Spine computed tomography · Sagittal slice 258/512 · Bone window (WL 400, WW 1800) · 17 vertebrae labeled in this scan · image width 391 mm
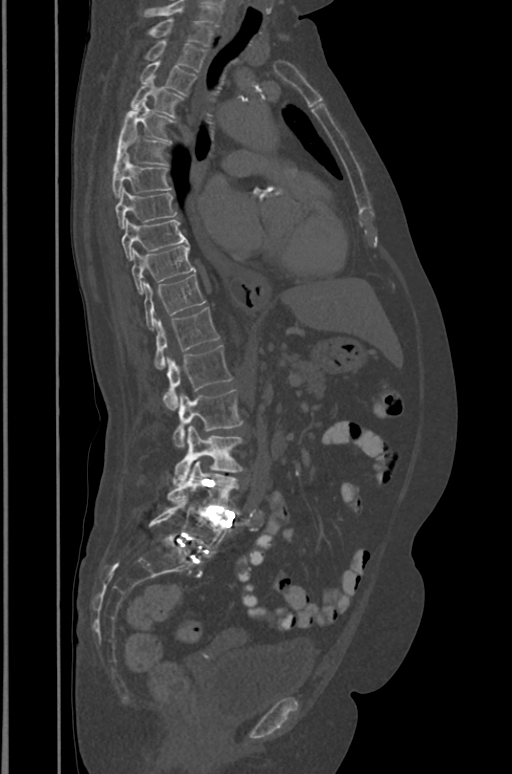

Each box is [x1, y1, x2, y2] in pixels: top-left corner, then bottom-right corner.
This scan's labels start at T1 at the top and end at L5 at the bottom.
{"vertebrae":{"T1":[148,19,212,45],"T2":[144,40,206,71],"T3":[139,61,197,95],"T4":[131,78,184,116],"T5":[119,102,174,143],"T6":[113,130,169,169],"T7":[113,156,171,197],"T8":[115,188,177,229],"T9":[122,219,188,260],"T10":[132,245,194,294],"T11":[144,274,206,330],"T12":[154,307,219,369],"L1":[164,345,232,410],"L2":[173,390,243,448],"L3":[173,426,244,484],"L4":[168,460,237,509],"L5":[149,497,228,554]}}